CT · sagittal view · bone window · 11 vertebrae labeled in this scan
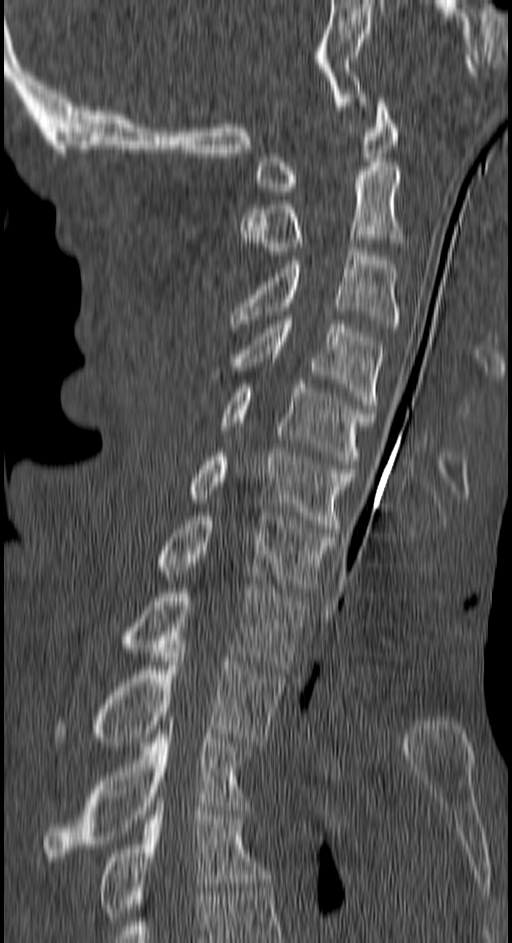
Each box given as x1,y1,x2,y2.
| vertebra | x1 | y1 | x2 | y2 |
|---|---|---|---|---|
| C1 | 253 | 98 | 396 | 195 |
| C2 | 240 | 166 | 406 | 251 |
| C3 | 232 | 247 | 400 | 328 |
| C4 | 234 | 316 | 383 | 413 |
| C5 | 223 | 384 | 374 | 468 |
| C6 | 189 | 448 | 355 | 532 |
| C7 | 162 | 512 | 335 | 592 |
| T1 | 123 | 585 | 305 | 669 |
| T2 | 59 | 644 | 284 | 746 |
| T3 | 46 | 721 | 249 | 861 |
| T4 | 100 | 802 | 270 | 921 |